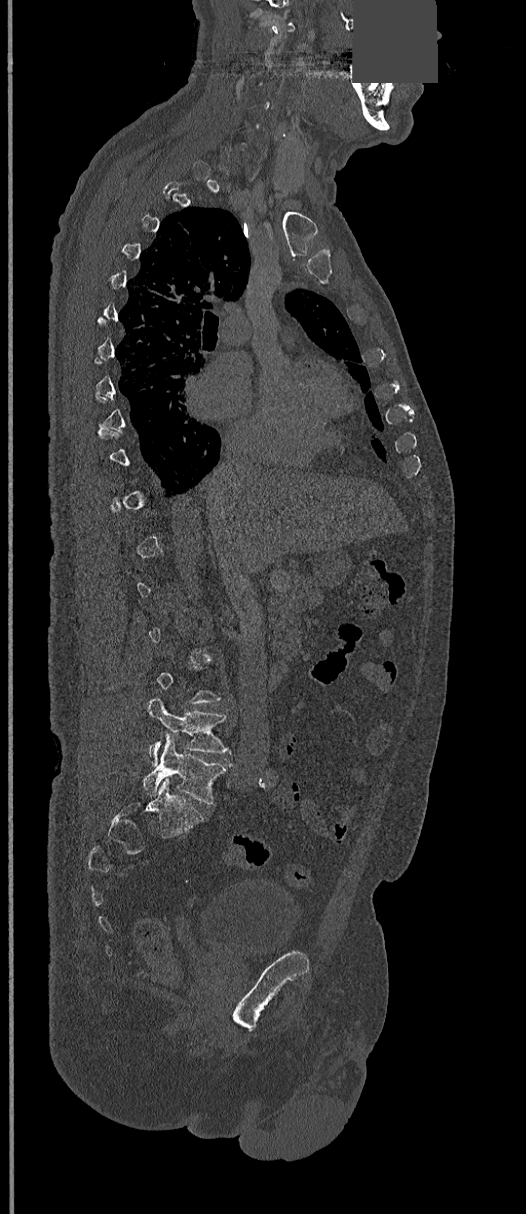 Computed tomography of the spine — sagittal view — bone window — a portion of the image is blanked out (constant pixel value)
A vertebra gets a box only on the slices from the first to the last where its cross-section is at least a third of its largest; on a slice outside that range it gets none.
<vertebrae><v name="L4" x1="147" y1="697" x2="232" y2="765"/><v name="L5" x1="143" y1="737" x2="227" y2="805"/></vertebrae>